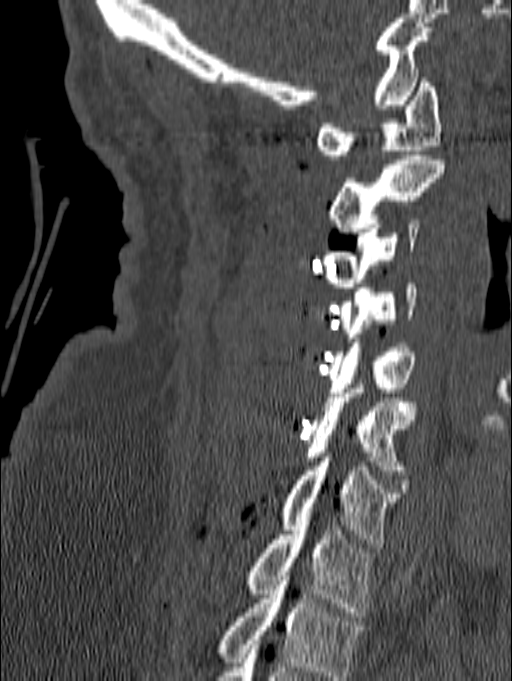

Computed tomography of the spine · 140 mm wide · sagittal view. Box edges are left/top/right/bottom in pixels. Labels in this scan begin with C1 at the top and end with T1 at the bottom. 8 vertebrae labeled — C1 at left=316, top=78, right=441, bottom=159; C2 at left=330, top=155, right=445, bottom=232; C3 at left=321, top=219, right=419, bottom=287; C4 at left=339, top=283, right=417, bottom=342; C5 at left=328, top=338, right=414, bottom=392; C6 at left=305, top=379, right=417, bottom=474; C7 at left=281, top=453, right=399, bottom=548; T1 at left=250, top=521, right=373, bottom=616.